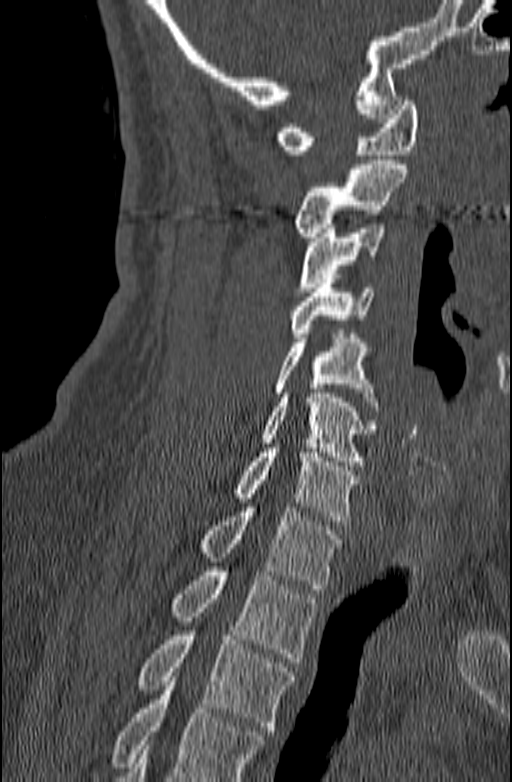 Computed tomography of the spine — sagittal reformat — 140 mm across the image — bone-window reconstruction

Each vertebra maps to its box as [x1, y1, x2, y2], the pixel coordinates of its top-left and bottom-right corners.
Where the bottom of the scan cuts through a vertebra, that vertebra gets no label or box.
{"vertebrae":{"C1":[276,96,418,154],"C2":[294,160,406,241],"C3":[298,224,384,296],"C4":[290,274,373,337],"C5":[275,334,377,406],"C6":[261,389,375,465],"C7":[235,443,359,525],"T1":[202,507,341,589],"T2":[171,571,317,662],"T3":[139,631,295,735]}}